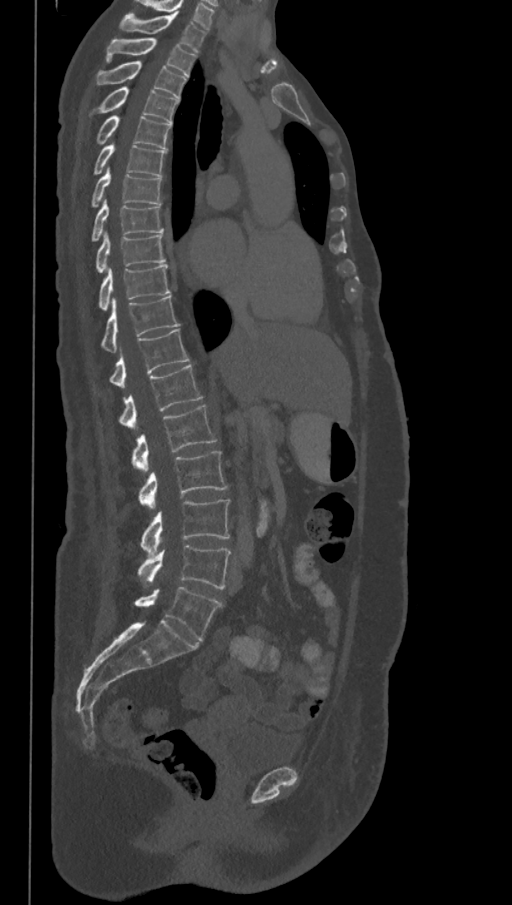
CT. sagittal view. bone-window reconstruction. 512x905 px
In this scan, the topmost labeled vertebra is T1 and the lowest is L6.
The labels name a sixth lumbar vertebra for this spine: L6, after L5.
<vertebrae><v name="T1" x1="119" y1="14" x2="207" y2="52"/><v name="T2" x1="106" y1="38" x2="196" y2="77"/><v name="T3" x1="97" y1="61" x2="187" y2="99"/><v name="T4" x1="99" y1="86" x2="178" y2="124"/><v name="T5" x1="97" y1="115" x2="171" y2="149"/><v name="T6" x1="94" y1="141" x2="166" y2="177"/><v name="T7" x1="92" y1="167" x2="162" y2="206"/><v name="T8" x1="92" y1="199" x2="163" y2="241"/><v name="T9" x1="96" y1="230" x2="164" y2="273"/><v name="T10" x1="99" y1="264" x2="170" y2="311"/><v name="T11" x1="101" y1="296" x2="178" y2="352"/><v name="T12" x1="110" y1="329" x2="189" y2="388"/><v name="L1" x1="119" y1="364" x2="202" y2="430"/><v name="L2" x1="132" y1="404" x2="216" y2="474"/><v name="L3" x1="139" y1="451" x2="227" y2="510"/><v name="L4" x1="140" y1="500" x2="230" y2="555"/><v name="L5" x1="138" y1="545" x2="231" y2="589"/><v name="L6" x1="135" y1="587" x2="221" y2="640"/></vertebrae>